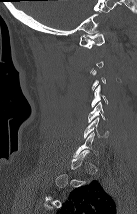

Spine CT — sagittal reformat
Boxes: x1 y1 x2 y2 (pixel coords, space-separated).
Not every vertebra on this slice has a box: a vertebra is boxed only from the first to the last slice where its cross-section is at least a third of its largest, and this slice is outside that range for at least one of them.
C1: 79 33 104 48
C4: 91 84 107 107
C5: 88 102 105 122
C6: 84 117 108 138